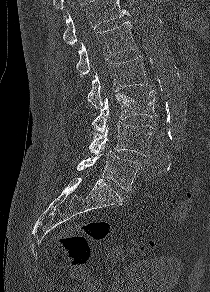

CT; sagittal view
A vertebra cut off by the top edge of the scan is not labeled and has no box.
<vertebrae><v name="L1" x1="76" y1="21" x2="136" y2="77"/><v name="L2" x1="87" y1="56" x2="147" y2="108"/><v name="L3" x1="92" y1="90" x2="156" y2="135"/><v name="L4" x1="89" y1="121" x2="155" y2="156"/><v name="L5" x1="76" y1="147" x2="141" y2="191"/></vertebrae>